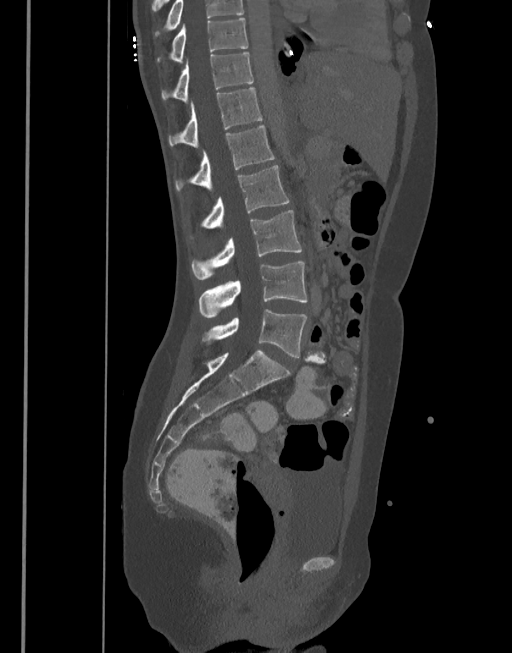
CT, spine; sagittal view; 512x653 px
Boxes are (x1, y1, x2, y2) in pixels.
This scan's labels start at T10 at the top and end at L5 at the bottom.
Vertebra bounding boxes:
- L5: (201, 309, 307, 357)
- L4: (198, 262, 307, 318)
- L3: (191, 210, 302, 280)
- L2: (190, 165, 289, 237)
- L1: (175, 125, 275, 191)
- T12: (168, 88, 262, 147)
- T11: (161, 53, 253, 102)
- T10: (156, 18, 247, 63)